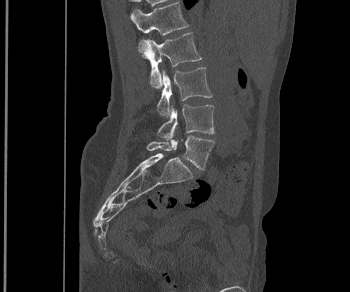 CT, spine — sagittal reformat — W/L 1800/400 HU
Each row gives a vertebra's box as x1, y1, x2, y2 in pixels: top-left corner, then bottom-right corner.
| vertebra | x1 | y1 | x2 | y2 |
|---|---|---|---|---|
| L1 | 130 | 2 | 188 | 35 |
| L2 | 138 | 32 | 202 | 88 |
| L3 | 157 | 67 | 212 | 117 |
| L4 | 157 | 105 | 214 | 139 |
| L5 | 146 | 135 | 214 | 169 |